Spine computed tomography; sagittal view
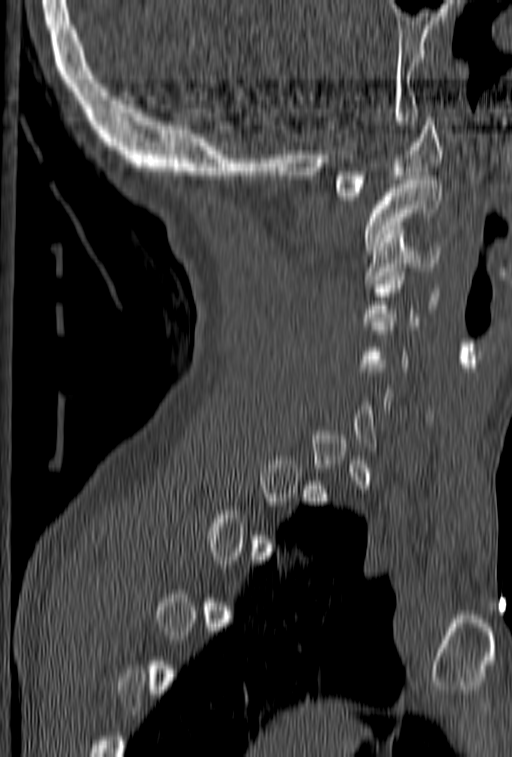
Each box given as x1,y1,x2,y2.
Not every vertebra on this slice has a box: a vertebra is boxed only from the first to the last slice where its cross-section is at least a third of its largest, and this slice is outside that range for at least one of them.
| vertebra | x1 | y1 | x2 | y2 |
|---|---|---|---|---|
| C1 | 332 | 117 | 442 | 200 |
| C2 | 363 | 180 | 442 | 250 |
| C3 | 364 | 238 | 439 | 283 |
| C4 | 363 | 264 | 439 | 325 |